CT spine — 399 mm image width — sagittal plane, index 249 — bone window — 8 vertebrae labeled in this scan
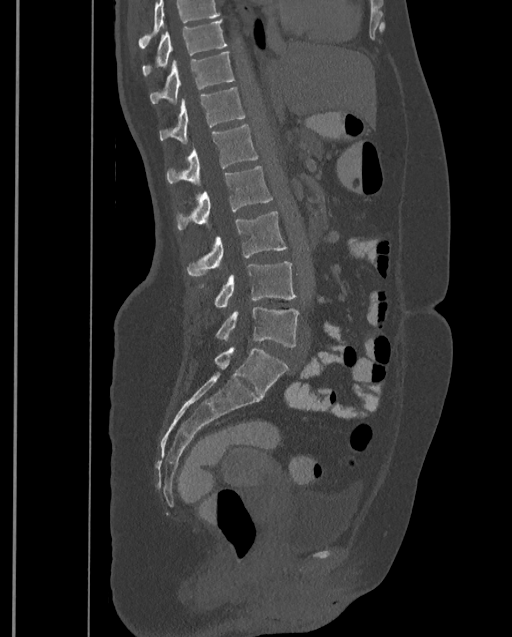

Where the top of the scan cuts through a vertebra, that vertebra gets no label or box.
This scan's labels start at T9 at the top and end at L4 at the bottom.
<vertebrae><v name="L4" x1="215" y1="306" x2="299" y2="347"/><v name="L3" x1="200" y1="262" x2="297" y2="307"/><v name="L2" x1="186" y1="211" x2="286" y2="276"/><v name="L1" x1="176" y1="166" x2="272" y2="230"/><v name="T12" x1="166" y1="125" x2="258" y2="185"/><v name="T11" x1="159" y1="87" x2="245" y2="143"/><v name="T10" x1="150" y1="51" x2="234" y2="104"/><v name="T9" x1="142" y1="20" x2="227" y2="76"/></vertebrae>